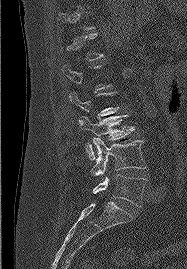 Spine CT. sagittal view. 187x269 px

Each box given as x1,y1,x2,y2.
Not every vertebra on this slice has a box: a vertebra is boxed only from the first to the last slice where its cross-section is at least a third of its largest, and this slice is outside that range for at least one of them.
Vertebra bounding boxes:
- L3: x1=79, y1=115, x2=134, y2=159
- L4: x1=91, y1=138, x2=145, y2=178
- L5: x1=92, y1=174, x2=145, y2=206